Spine computed tomography; sagittal reformat; 17 vertebrae labeled in this scan
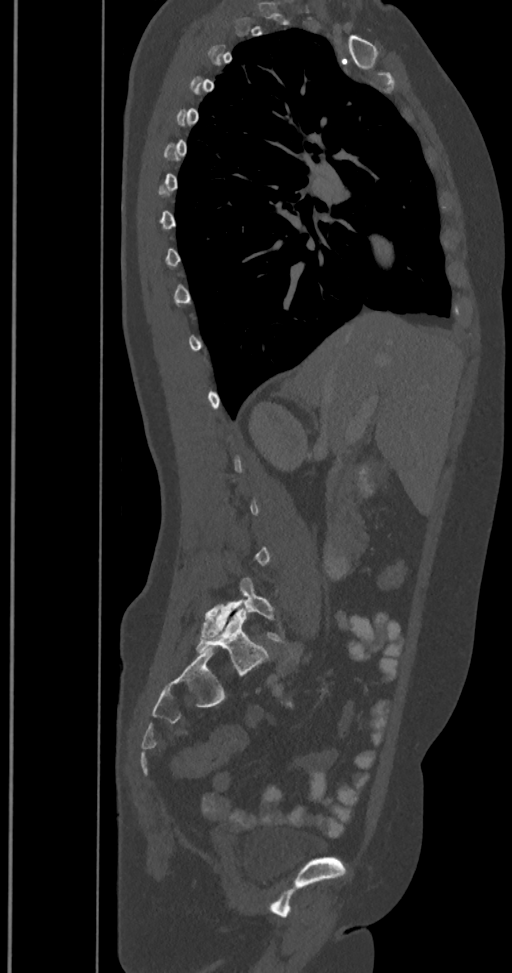 Each vertebra maps to its box as [x1, y1, x2, y2], the pixel coordinates of its top-left and bottom-right corners.
Not every vertebra on this slice has a box: a vertebra is boxed only from the first to the last slice where its cross-section is at least a third of its largest, and this slice is outside that range for at least one of them.
In these labels the spine has an L6, a sixth lumbar vertebra below L5.
{"vertebrae":{"L5":[201,578,285,644],"L6":[196,607,268,676]}}